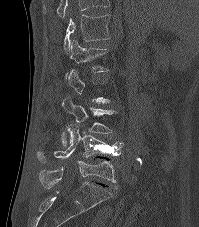

CT, spine — sagittal view — bone-window reconstruction — the image is 199 mm wide

Coordinates as <box>x1,y1,x2,y2</box>.
A vertebra gets a box only on the slices from the first to the last where its cross-section is at least a third of its largest; on a slice outside that range it gets none.
Labels in this scan begin with T12 at the top and end with L5 at the bottom.
Vertebra bounding boxes:
- T12: <box>63,14,110,53</box>
- L1: <box>65,39,108,79</box>
- L3: <box>61,96,117,145</box>
- L4: <box>37,124,124,163</box>
- L5: <box>39,160,116,189</box>